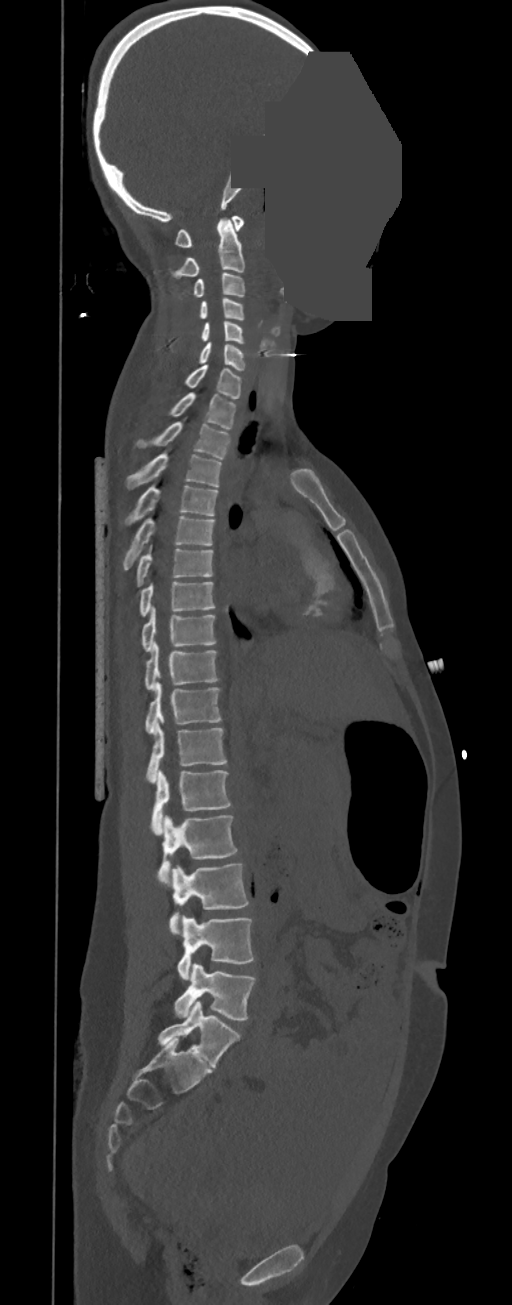 CT, spine — sagittal view — bone-window reconstruction — 512x1305 px — image width 350 mm — part of the image is a flat gray fill, not anatomy
Boxes: x1:y1:x2:y2 in pixels. In these labels the thoracic vertebrae end at T11, so L1 follows T11. Vertebrae labeled: C1 at 175:216:243:247, C2 at 169:217:245:277, C3 at 178:273:245:299, C4 at 199:298:245:320, C5 at 200:321:245:344, C6 at 197:342:246:370, C7 at 184:365:242:399, T1 at 165:392:236:430, T2 at 136:421:230:460, T3 at 126:453:221:489, T4 at 124:486:218:526, T5 at 123:516:215:569, T6 at 137:545:214:586, T7 at 140:581:215:616, T8 at 142:606:215:652, T9 at 145:642:218:690, T10 at 146:682:221:735, T11 at 146:723:227:782, L1 at 151:770:231:835, L2 at 158:815:237:886, L3 at 169:862:249:934, L4 at 178:915:253:979, L5 at 174:962:255:1019.